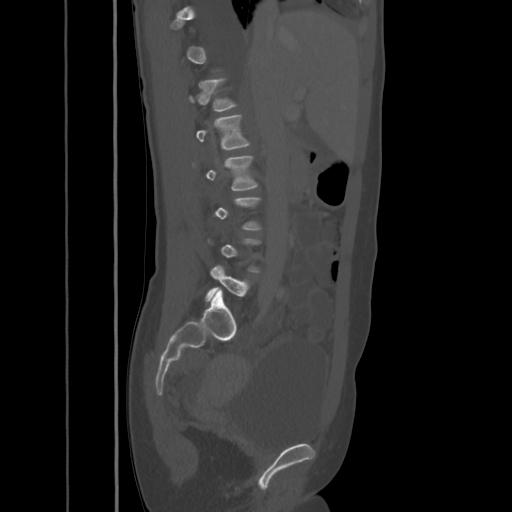

Computed tomography of the spine · 425 mm image width · sagittal reformat · 512x512 px
Each box given as x1,y1,x2,y2.
A vertebra gets a box only on the slices from the first to the last where its cross-section is at least a third of its largest; on a slice outside that range it gets none.
| vertebra | x1 | y1 | x2 | y2 |
|---|---|---|---|---|
| L5 | 206 | 265 | 248 | 301 |
| L2 | 193 | 156 | 257 | 191 |
| L1 | 195 | 115 | 250 | 150 |